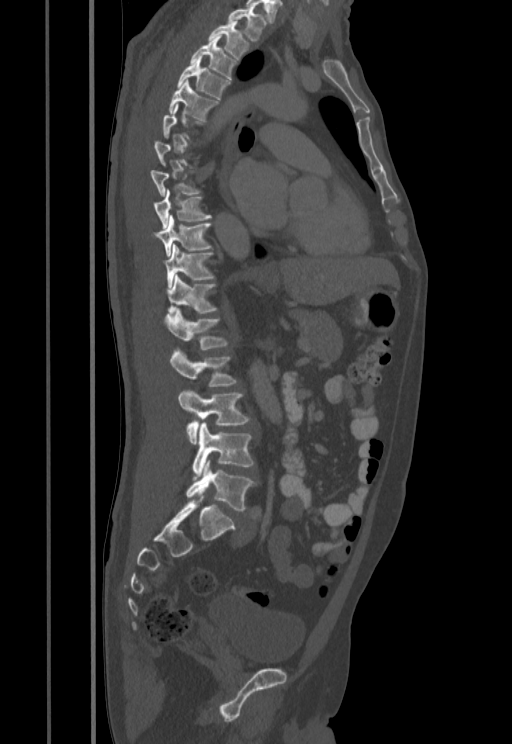
Spine CT; sagittal view; 512x744 px

Each box given as x1,y1,x2,y2. Not every vertebra on this slice has a box: a vertebra is boxed only from the first to the last slice where its cross-section is at least a third of its largest, and this slice is outside that range for at least one of them. Vertebrae labeled: T1 at x1=227, y1=8, x2=265, y2=41, T2 at x1=208, y1=21, x2=248, y2=59, T3 at x1=190, y1=35, x2=236, y2=79, T4 at x1=178, y1=60, x2=230, y2=99, T5 at x1=169, y1=80, x2=218, y2=120, T9 at x1=153, y1=190, x2=212, y2=228, T10 at x1=152, y1=217, x2=210, y2=256, T11 at x1=162, y1=245, x2=214, y2=287, T12 at x1=166, y1=274, x2=217, y2=313, L1 at x1=163, y1=308, x2=227, y2=349, L2 at x1=170, y1=350, x2=236, y2=386, L3 at x1=179, y1=390, x2=249, y2=443, L4 at x1=192, y1=422, x2=253, y2=479, L5 at x1=186, y1=460, x2=254, y2=510.